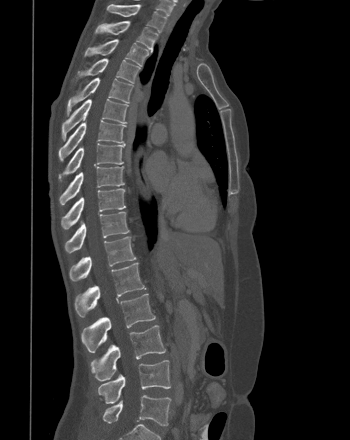
CT · sagittal view · 350 mm across the image · 350x440 px
Each box given as x1,y1,x2,y2.
Vertebra bounding boxes:
- T1: x1=108, y1=5, x2=166, y2=32
- T2: x1=95, y1=21, x2=158, y2=51
- T3: x1=84, y1=39, x2=148, y2=65
- T4: x1=77, y1=58, x2=140, y2=82
- T5: x1=66, y1=77, x2=133, y2=115
- T6: x1=61, y1=99, x2=128, y2=140
- T7: x1=58, y1=120, x2=126, y2=161
- T8: x1=58, y1=143, x2=125, y2=180
- T9: x1=59, y1=166, x2=124, y2=205
- T10: x1=61, y1=188, x2=125, y2=229
- T11: x1=64, y1=211, x2=129, y2=253
- T12: x1=69, y1=236, x2=136, y2=281
- L1: x1=74, y1=262, x2=146, y2=317
- L2: x1=81, y1=293, x2=155, y2=352
- L3: x1=90, y1=325, x2=165, y2=381
- L4: x1=98, y1=360, x2=170, y2=403
- L5: x1=103, y1=395, x2=171, y2=426